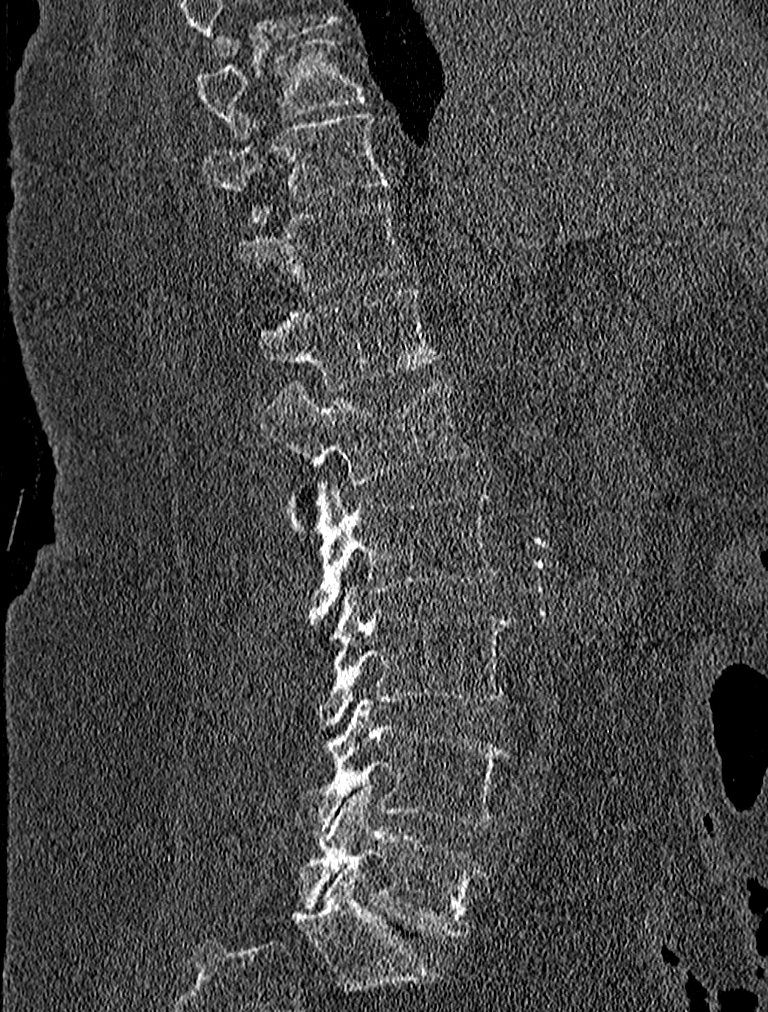

Spine computed tomography — image width 227 mm — sagittal view. Coordinates as <box>x1,y1,x2,y2</box>.
Vertebra bounding boxes:
- L5: <box>300,787,485,938</box>
- L4: <box>295,699,509,836</box>
- L3: <box>320,588,509,728</box>
- L2: <box>310,481,499,629</box>
- L1: <box>260,379,471,512</box>
- T12: <box>256,288,441,392</box>
- T11: <box>228,199,407,293</box>
- T10: <box>204,111,390,221</box>
- T9: <box>195,33,367,138</box>